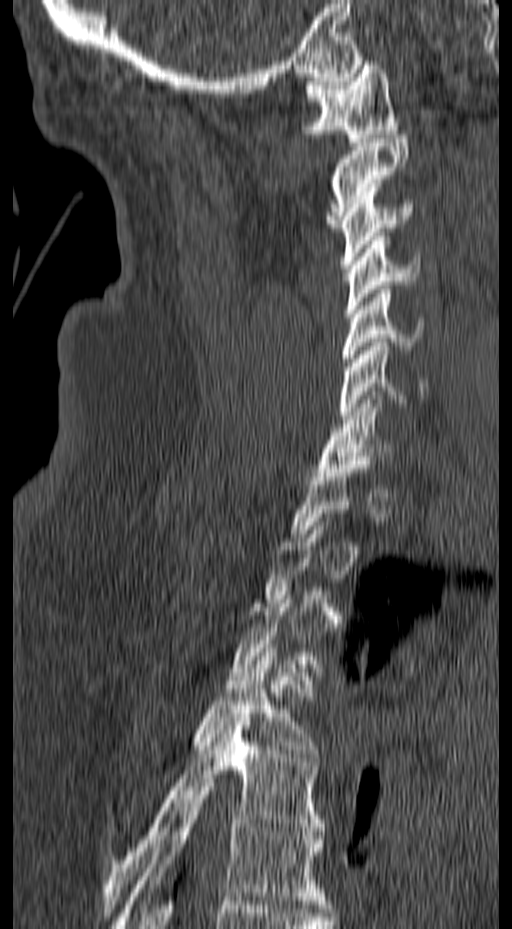
Spine computed tomography — 157 mm across the image — sagittal view — bone window
Each box is [x1, y1, x2, y2] in pixels: top-left corner, then bottom-right corner.
Not every vertebra on this slice has a box: a vertebra is boxed only from the first to the last slice where its cross-section is at least a third of its largest, and this slice is outside that range for at least one of them.
{"vertebrae":{"T6":[110,787,330,928],"T5":[102,713,324,916],"T4":[190,648,317,757],"C7":[315,391,391,476],"C6":[338,338,427,419],"C5":[342,285,424,370],"C4":[345,232,421,317],"C3":[339,183,412,268],"C2":[324,135,408,231],"C1":[302,61,398,142]}}